CT spine; Sagittal slice 235/512; W/L 1800/400 HU; 512x878 px; 17 vertebrae labeled in this scan
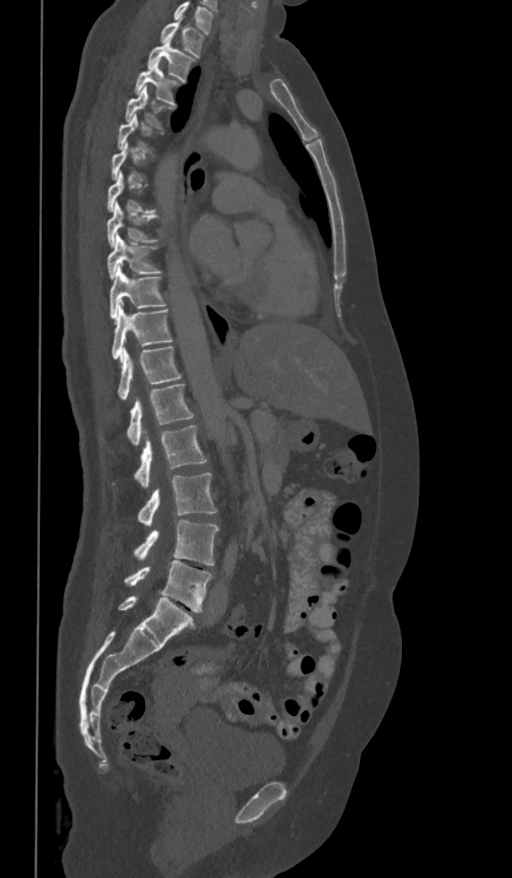

Coordinates as <box>x1,y1,x2,y2</box>.
A vertebra gets a box only on the slices from the first to the last where its cross-section is at least a third of its largest; on a slice outside that range it gets none.
Labels in this scan begin with T1 at the top and end with L5 at the bottom.
T1: <box>160,19,204,58</box>
T2: <box>147,37,196,82</box>
T3: <box>135,59,182,106</box>
T4: <box>125,86,175,127</box>
T5: <box>118,114,163,153</box>
T7: <box>106,172,156,212</box>
T8: <box>106,202,156,248</box>
T9: <box>108,234,162,279</box>
T10: <box>109,266,166,318</box>
T11: <box>110,305,173,360</box>
T12: <box>118,346,182,400</box>
L1: <box>126,383,195,444</box>
L2: <box>112,425,207,488</box>
L3: <box>136,472,217,526</box>
L4: <box>133,520,219,566</box>
L5: <box>125,560,212,612</box>